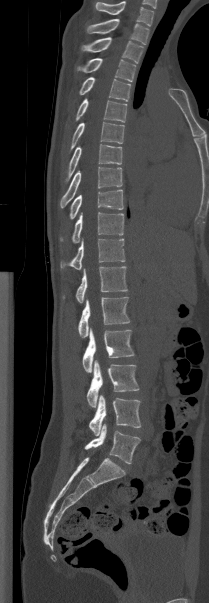
CT; sagittal view

The highest labeled vertebra in this scan is T1; the lowest is L5.
<vertebrae><v name="L5" x1="84" y1="423" x2="140" y2="464"/><v name="L4" x1="89" y1="394" x2="141" y2="435"/><v name="L3" x1="87" y1="360" x2="139" y2="407"/><v name="L2" x1="82" y1="328" x2="134" y2="372"/><v name="L1" x1="78" y1="297" x2="129" y2="337"/><v name="T12" x1="63" y1="266" x2="127" y2="303"/><v name="T11" x1="60" y1="238" x2="125" y2="269"/><v name="T10" x1="60" y1="212" x2="123" y2="242"/><v name="T9" x1="69" y1="189" x2="123" y2="218"/><v name="T8" x1="60" y1="167" x2="122" y2="207"/><v name="T7" x1="65" y1="144" x2="122" y2="181"/><v name="T6" x1="70" y1="122" x2="124" y2="150"/><v name="T5" x1="75" y1="98" x2="127" y2="122"/><v name="T4" x1="79" y1="77" x2="130" y2="101"/><v name="T3" x1="76" y1="58" x2="135" y2="81"/><v name="T2" x1="81" y1="37" x2="143" y2="63"/><v name="T1" x1="87" y1="19" x2="148" y2="44"/></vertebrae>